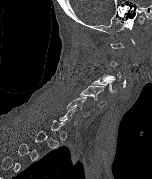

Spine CT. sagittal view. W/L 1800/400 HU
Coordinates as <box>x1,y1,x2,y2</box>.
Each vertebra is boxed only on the slices from the first to the last where its cross-section reaches a third of its largest, so a slice outside that range leaves it unboxed.
C6: <box>66,97,89,116</box>
C5: <box>79,85,106,107</box>
C4: <box>92,75,117,93</box>